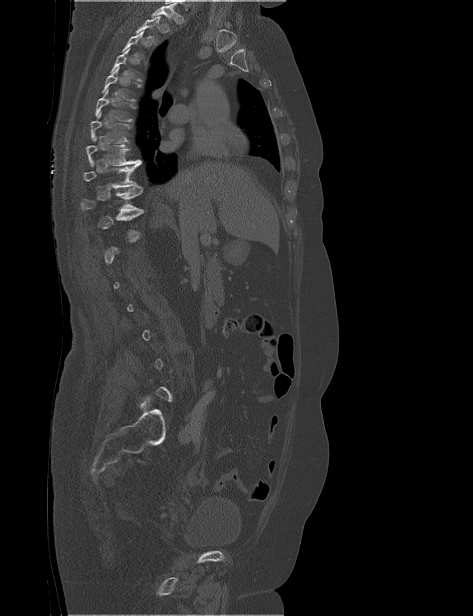

CT; sagittal view; 473 mm across the image

A vertebra is boxed only from the first to the last slice where its cross-section is at least a third of its largest; slices outside that range leave it without a box.
No box is given to a vertebra that the top edge of the scan cuts off.
<vertebrae><v name="T2" x1="136" y1="16" x2="160" y2="45"/><v name="T4" x1="110" y1="48" x2="141" y2="81"/><v name="T5" x1="101" y1="67" x2="142" y2="101"/><v name="T6" x1="95" y1="89" x2="135" y2="122"/><v name="T7" x1="90" y1="112" x2="130" y2="143"/><v name="T8" x1="86" y1="137" x2="140" y2="166"/><v name="T9" x1="83" y1="161" x2="143" y2="189"/><v name="T10" x1="81" y1="189" x2="143" y2="214"/></vertebrae>